Computed tomography of the spine · sagittal view · W/L 1800/400 HU
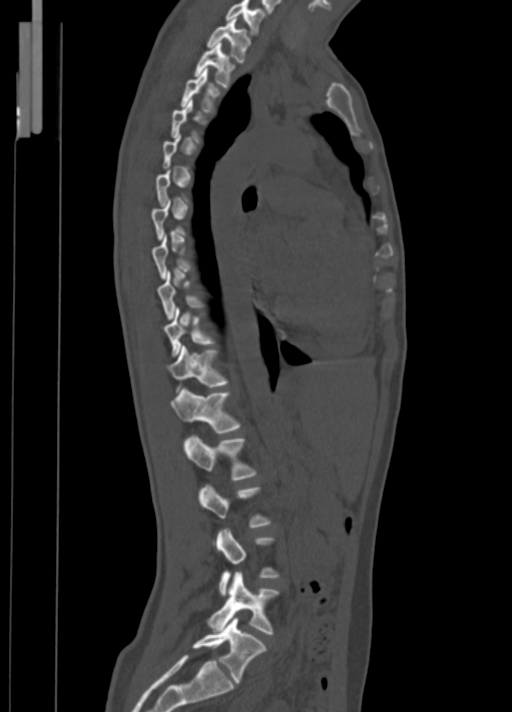

Boxes: x1:y1:x2:y2 in pixels.
Not every vertebra on this slice has a box: a vertebra is boxed only from the first to the last slice where its cross-section is at least a third of its largest, and this slice is outside that range for at least one of them.
C7: 225:0:265:34
T1: 206:18:250:62
T2: 194:42:234:88
T3: 180:69:221:113
T9: 158:271:203:319
T10: 164:307:213:357
T11: 168:345:228:391
T12: 171:388:240:433
L1: 184:436:256:480
L2: 199:484:271:527
L3: 216:528:280:596
L4: 207:572:280:634
L5: 193:617:266:684